Computed tomography of the spine — sagittal view — bone-window reconstruction
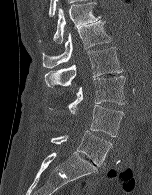

Each row gives a vertebra's box as x1, y1, x2, y2 in pixels: top-left corner, then bottom-right corner.
| vertebra | x1 | y1 | x2 | y2 |
|---|---|---|---|---|
| T12 | 38 | 1 | 100 | 43 |
| L1 | 42 | 20 | 111 | 68 |
| L2 | 44 | 47 | 122 | 87 |
| L3 | 67 | 76 | 125 | 112 |
| L4 | 73 | 105 | 124 | 136 |
| L5 | 50 | 130 | 112 | 166 |